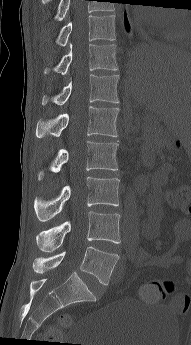
CT spine; sagittal view; 191x345 px
The highest labeled vertebra in this scan is T10; the lowest is L5.
<vertebrae><v name="T10" x1="55" y1="15" x2="115" y2="46"/><v name="T11" x1="44" y1="43" x2="118" y2="74"/><v name="T12" x1="42" y1="74" x2="119" y2="105"/><v name="L1" x1="35" y1="106" x2="119" y2="138"/><v name="L2" x1="38" y1="140" x2="118" y2="180"/><v name="L3" x1="34" y1="177" x2="119" y2="221"/><v name="L4" x1="36" y1="211" x2="120" y2="251"/><v name="L5" x1="33" y1="246" x2="119" y2="285"/></vertebrae>